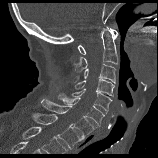

Computed tomography of the spine · sagittal view · Bone window (WL 400, WW 1800). Each box given as x1,y1,x2,y2.
C1: x1=78, y1=28, x2=118, y2=54
C2: x1=72, y1=26, x2=117, y2=72
C3: x1=73, y1=63, x2=116, y2=83
C4: x1=74, y1=79, x2=115, y2=96
C5: x1=72, y1=89, x2=112, y2=113
C6: x1=58, y1=93, x2=104, y2=126
C7: x1=41, y1=99, x2=94, y2=138
T1: x1=31, y1=113, x2=83, y2=149